CT. sagittal view. the image is 206 mm wide. 392x1568 px. part of the image is a flat gray fill, not anatomy
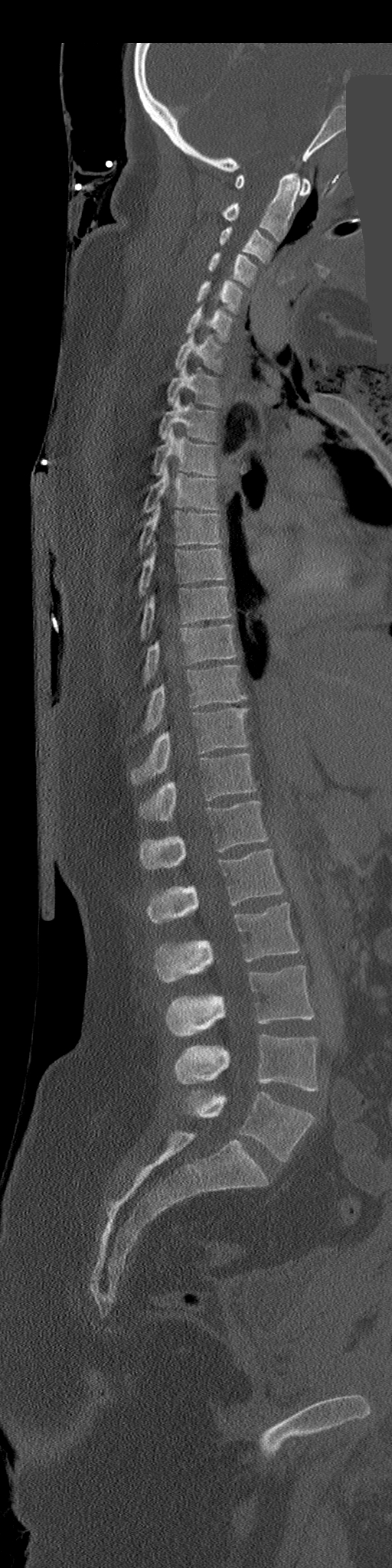 <vertebrae><v name="C1" x1="234" y1="174" x2="310" y2="196"/><v name="C2" x1="224" y1="173" x2="299" y2="240"/><v name="C3" x1="220" y1="226" x2="274" y2="263"/><v name="C4" x1="209" y1="252" x2="256" y2="286"/><v name="C5" x1="197" y1="280" x2="243" y2="312"/><v name="C6" x1="185" y1="307" x2="232" y2="341"/><v name="C7" x1="175" y1="331" x2="223" y2="371"/><v name="T1" x1="168" y1="361" x2="220" y2="407"/><v name="T2" x1="158" y1="394" x2="217" y2="441"/><v name="T3" x1="153" y1="427" x2="217" y2="475"/><v name="T4" x1="143" y1="465" x2="219" y2="511"/><v name="T5" x1="139" y1="503" x2="220" y2="552"/><v name="T6" x1="139" y1="549" x2="227" y2="593"/><v name="T7" x1="142" y1="586" x2="232" y2="637"/><v name="T8" x1="143" y1="625" x2="236" y2="683"/><v name="T9" x1="143" y1="665" x2="245" y2="733"/><v name="T10" x1="132" y1="708" x2="249" y2="784"/><v name="T11" x1="139" y1="754" x2="255" y2="820"/><v name="T12" x1="139" y1="800" x2="268" y2="870"/><v name="L1" x1="147" y1="849" x2="282" y2="923"/><v name="L2" x1="155" y1="903" x2="299" y2="982"/><v name="L3" x1="166" y1="965" x2="314" y2="1037"/><v name="L4" x1="174" y1="1034" x2="319" y2="1090"/><v name="L5" x1="187" y1="1091" x2="314" y2="1161"/></vertebrae>